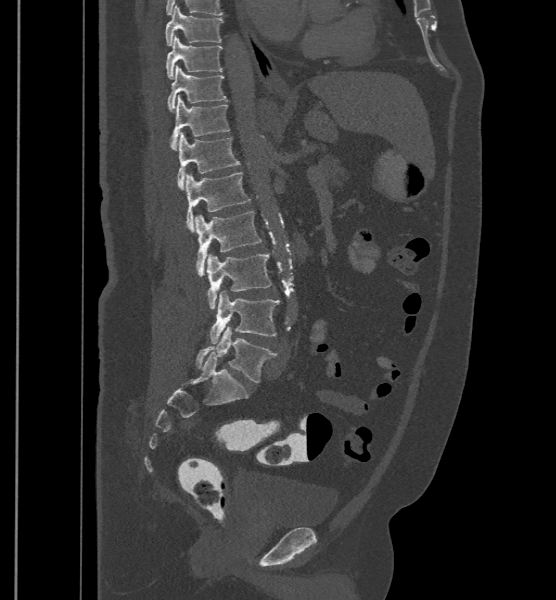 Computed tomography of the spine · sagittal view · bone-window reconstruction
Bounding boxes as [x1, y1, x2, y2] in pixel coordinates. The labels name a sixth lumbar vertebra for this spine: L6, after L5. The labeled vertebrae in this slice are: T9 at [165, 4, 223, 46], T10 at [166, 35, 223, 79], T11 at [168, 66, 227, 111], T12 at [170, 94, 229, 150], L1 at [177, 132, 240, 189], L2 at [186, 172, 250, 232], L3 at [195, 211, 262, 276], L4 at [206, 253, 271, 309], L5 at [208, 290, 279, 343], L6 at [195, 326, 276, 382].